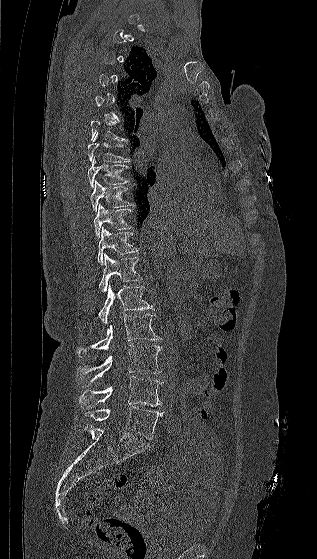

CT spine; sagittal view; 317x559 px; the image spans 317 mm across
Columns x1, y1, x2, y2 give each box's top-left and bottom-right pixels.
Not every vertebra on this slice has a box: a vertebra is boxed only from the first to the last slice where its cross-section is at least a third of its largest, and this slice is outside that range for at least one of them.
| vertebra | x1 | y1 | x2 | y2 |
|---|---|---|---|---|
| T7 | 87 | 132 | 130 | 162 |
| T8 | 87 | 157 | 130 | 188 |
| T9 | 90 | 180 | 133 | 212 |
| T10 | 94 | 203 | 131 | 238 |
| T11 | 98 | 227 | 139 | 264 |
| T12 | 98 | 253 | 144 | 292 |
| L1 | 98 | 284 | 154 | 324 |
| L2 | 77 | 314 | 160 | 356 |
| L3 | 77 | 345 | 161 | 386 |
| L4 | 79 | 376 | 162 | 408 |
| L5 | 85 | 406 | 163 | 439 |